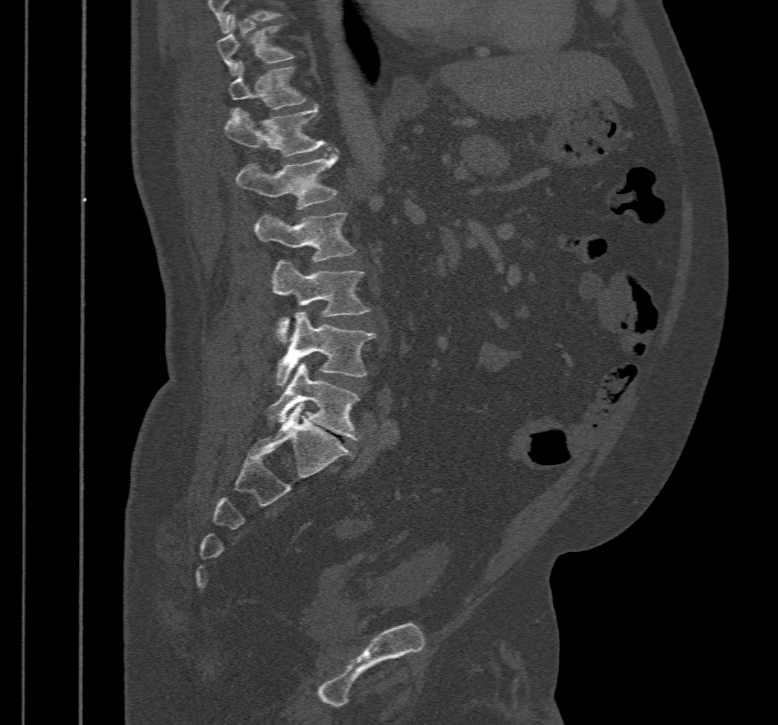 CT; sagittal reformat; W/L 1800/400 HU. Bounding boxes as [x1, y1, x2, y2] in pixel coordinates. 8 vertebrae labeled — T10 at [216, 14, 294, 74]; T11 at [228, 62, 306, 109]; T12 at [225, 104, 329, 156]; L1 at [236, 150, 338, 209]; L2 at [254, 212, 356, 261]; L3 at [272, 260, 370, 343]; L4 at [277, 310, 376, 386]; L5 at [268, 362, 361, 439].